CT, spine — Sagittal slice 69/174 — 174x247 px
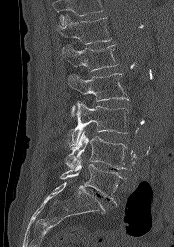

Each box is [x1, y1, x2, y2] in pixels: top-left corner, then bottom-right corner.
No box is given to a vertebra that the top edge of the scan cuts off.
{"vertebrae":{"T12":[57,14,112,44],"L1":[61,45,118,71],"L2":[67,73,128,116],"L3":[68,101,128,148],"L4":[65,130,127,169],"L5":[60,157,125,205]}}